CT spine. sagittal view. bone-window reconstruction. 381x252 px. image 381 mm wide
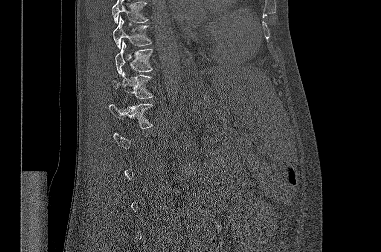

Columns x1, y1, x2, y2 give each box's top-left and bottom-right pixels.
A vertebra is boxed only from the first to the last slice where its cross-section is at least a third of its largest; slices outside that range leave it without a box.
No box is given to a vertebra that the top edge of the scan cuts off.
| vertebra | x1 | y1 | x2 | y2 |
|---|---|---|---|---|
| T9 | 112 | 16 | 151 | 48 |
| T10 | 115 | 41 | 152 | 74 |
| T11 | 112 | 71 | 153 | 98 |
| T12 | 109 | 104 | 152 | 128 |